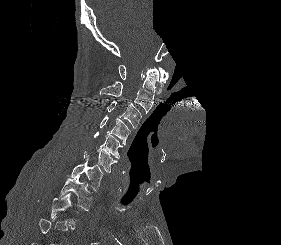

CT — sagittal reformat — bone window — image 281 mm wide — part of the image has been replaced by a constant value
Boxes: x1:y1:x2:y2 in pixels.
No box is given to a vertebra that the bottom edge of the scan cuts off.
Vertebra bounding boxes:
- T2: 51:193:75:229
- T1: 58:176:92:210
- C7: 71:159:103:190
- C6: 83:146:117:172
- C5: 94:131:122:158
- C4: 100:115:130:144
- C3: 106:101:142:128
- C2: 100:69:158:113
- C1: 118:65:168:93